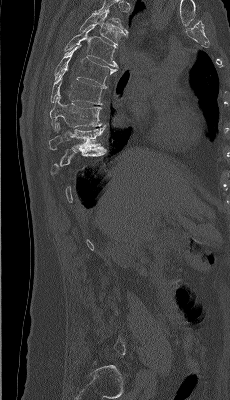

Spine CT · sagittal view · bone-window reconstruction
Not every vertebra on this slice has a box: a vertebra is boxed only from the first to the last slice where its cross-section is at least a third of its largest, and this slice is outside that range for at least one of them.
Labels in this scan begin with T4 at the top and end with L5 at the bottom.
<vertebrae><v name="T4" x1="79" y1="10" x2="127" y2="43"/><v name="T5" x1="64" y1="24" x2="118" y2="67"/><v name="T6" x1="54" y1="44" x2="116" y2="88"/><v name="T7" x1="50" y1="68" x2="104" y2="104"/><v name="T8" x1="50" y1="93" x2="105" y2="130"/><v name="T9" x1="48" y1="123" x2="105" y2="150"/></vertebrae>